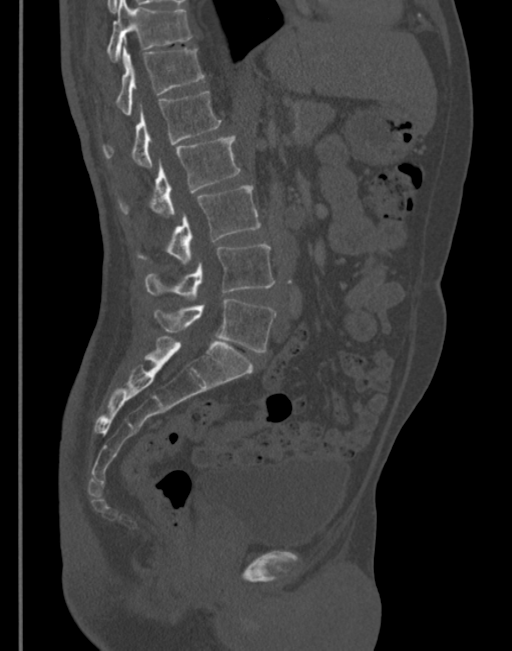
Spine computed tomography — sagittal reformat — bone window — 512x651 px. Coordinates as <box>x1,y1,x2,y2</box>.
L5: <box>154,299,276,352</box>
L4: <box>145,245,275,299</box>
L3: <box>166,185,260,264</box>
L2: <box>120,135,241,216</box>
L1: <box>102,91,221,168</box>
T12: <box>116,44,204,115</box>
T11: <box>107,0,192,61</box>